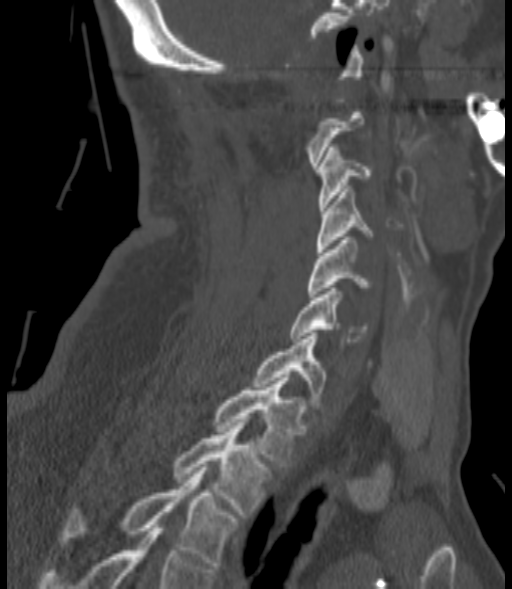
CT, spine; sagittal reformat; 512x589 px

Each vertebra maps to its box as [x1, y1, x2, y2], the pixel coordinates of its top-left and bottom-right corners.
A vertebra gets a box only on the slices from the first to the last where its cross-section is at least a third of its largest; on a slice outside that range it gets none.
{"vertebrae":{"C3":[318,147,371,210],"C4":[316,186,374,252],"C5":[308,237,371,297],"C6":[290,288,366,341],"C7":[254,333,325,405],"T1":[213,378,304,466],"T2":[172,422,271,517],"T3":[60,467,238,569]}}